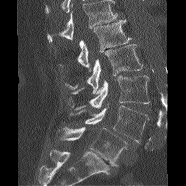
CT spine; sagittal view
Where the top of the scan cuts through a vertebra, that vertebra gets no label or box.
<vertebrae><v name="L5" x1="57" y1="127" x2="126" y2="166"/><v name="L4" x1="70" y1="105" x2="148" y2="143"/><v name="L3" x1="68" y1="75" x2="150" y2="109"/><v name="L2" x1="65" y1="44" x2="142" y2="93"/><v name="L1" x1="77" y1="19" x2="131" y2="72"/></vertebrae>